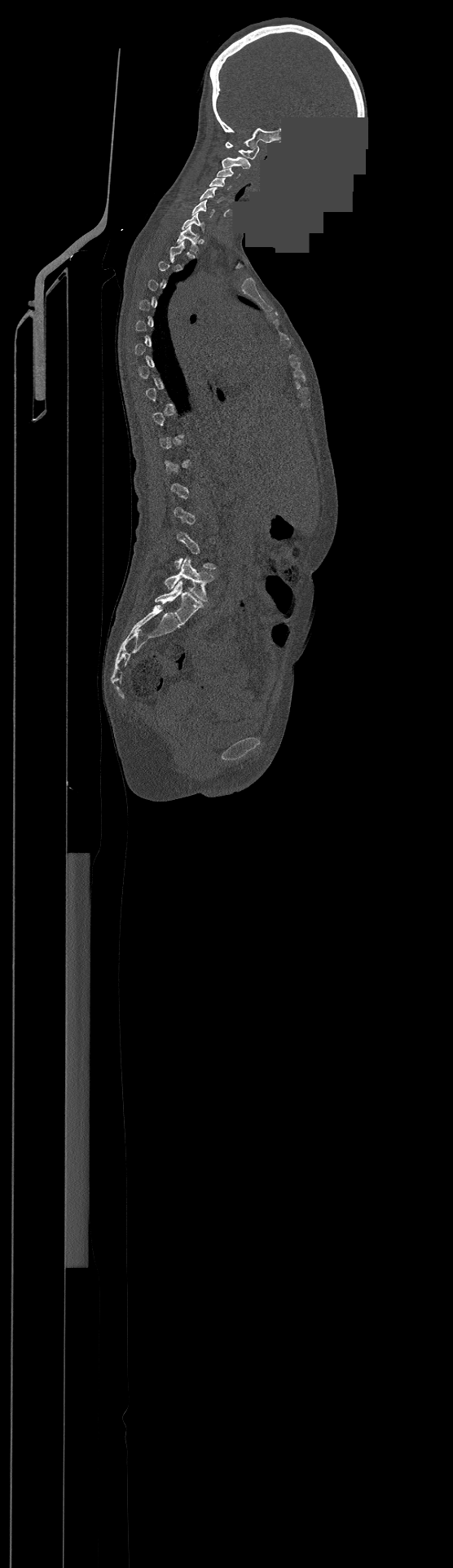
CT — image 500 mm wide — sagittal reformat — 453x1568 px — an area of the scan was removed and filled with constant pixels
Box values are [left, top, right, bottom] in pixels.
Each vertebra is boxed only on the slices from the first to the last where its cross-section reaches a third of its largest, so a slice outside that range leaves it unboxed.
The highest labeled vertebra in this scan is C1; the lowest is L4.
{"vertebrae":{"C1":[226,142,259,159],"C2":[222,157,250,168],"C3":[217,168,240,178],"C4":[209,177,231,189],"C5":[200,188,223,203],"C6":[191,200,215,217],"C7":[183,211,204,230],"T1":[177,225,198,252],"L4":[165,558,213,602]}}